Computed tomography of the spine; sagittal plane, index 37; 291x291 px
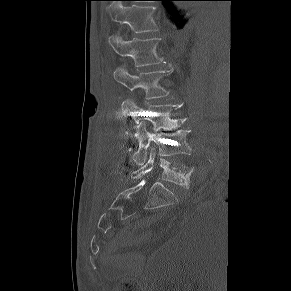

<vertebrae><v name="L5" x1="131" y1="148" x2="194" y2="188"/><v name="L4" x1="133" y1="122" x2="190" y2="165"/><v name="L3" x1="121" y1="99" x2="186" y2="131"/><v name="L2" x1="114" y1="65" x2="173" y2="99"/><v name="L1" x1="109" y1="34" x2="164" y2="66"/><v name="T12" x1="106" y1="1" x2="158" y2="32"/></vertebrae>